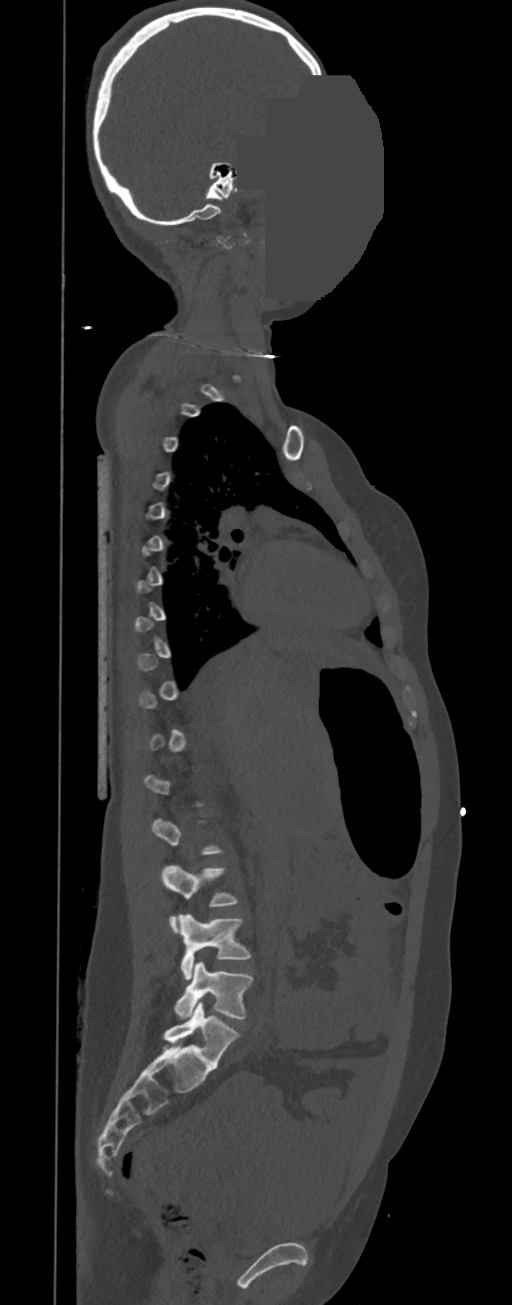
CT · sagittal view · a region is masked with a constant gray value
Not every vertebra on this slice has a box: a vertebra is boxed only from the first to the last slice where its cross-section is at least a third of its largest, and this slice is outside that range for at least one of them.
<vertebrae><v name="L3" x1="162" y1="866" x2="237" y2="930"/><v name="L4" x1="178" y1="914" x2="250" y2="980"/><v name="L5" x1="174" y1="961" x2="252" y2="1018"/></vertebrae>